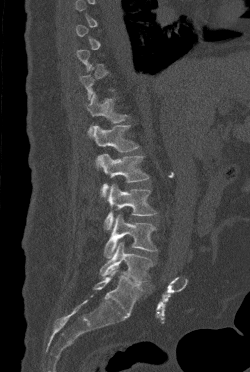

CT, spine — image width 250 mm — sagittal view. Bounding boxes as [x1, y1, x2, y2] in pixel coordinates.
A vertebra gets a box only on the slices from the first to the last where its cross-section is at least a third of its largest; on a slice outside that range it gets none.
T12: [86, 92, 127, 134]
L1: [93, 125, 139, 169]
L2: [98, 153, 149, 197]
L3: [104, 183, 157, 229]
L4: [104, 214, 157, 258]
L5: [100, 242, 153, 283]